CT, spine — Sagittal slice 343/619 — Bone window (WL 400, WW 1800)
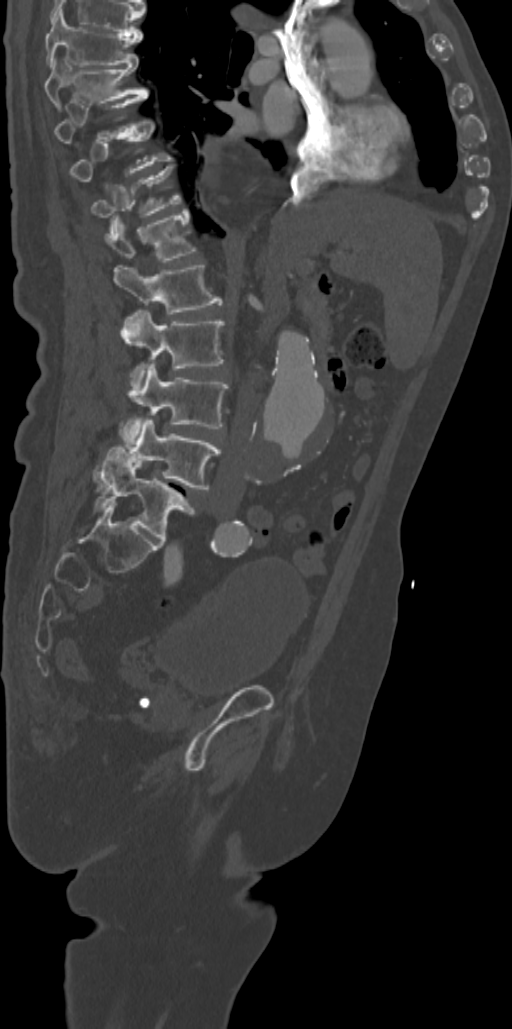
A vertebra gets a box only on the slices from the first to the last where its cross-section is at least a third of its largest; on a slice outside that range it gets none.
<vertebrae><v name="T7" x1="45" y1="9" x2="143" y2="66"/><v name="T8" x1="43" y1="58" x2="148" y2="107"/><v name="T9" x1="54" y1="94" x2="147" y2="143"/><v name="T11" x1="91" y1="166" x2="180" y2="230"/><v name="T12" x1="105" y1="209" x2="195" y2="262"/><v name="L1" x1="114" y1="265" x2="222" y2="314"/><v name="L2" x1="121" y1="310" x2="223" y2="385"/><v name="L3" x1="121" y1="364" x2="228" y2="442"/><v name="L4" x1="94" y1="418" x2="220" y2="489"/><v name="L5" x1="94" y1="447" x2="195" y2="540"/></vertebrae>